CT · sagittal plane, index 188 · 392x453 px · 8 vertebrae labeled in this scan
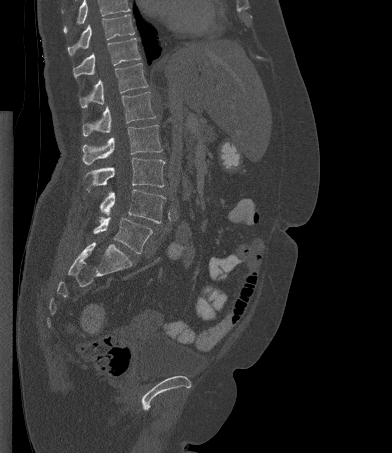
Each row gives a vertebra's box as x1, y1, x2, y2 in pixels: top-left corner, then bottom-right corner.
Vertebrae that run past the top of the scan are left unlabeled.
| vertebra | x1 | y1 | x2 | y2 |
|---|---|---|---|---|
| T10 | 67 | 14 | 134 | 55 |
| T11 | 73 | 38 | 140 | 78 |
| T12 | 79 | 63 | 148 | 107 |
| L1 | 82 | 91 | 155 | 136 |
| L2 | 82 | 125 | 162 | 165 |
| L3 | 85 | 158 | 165 | 191 |
| L4 | 100 | 189 | 165 | 223 |
| L5 | 93 | 217 | 152 | 254 |